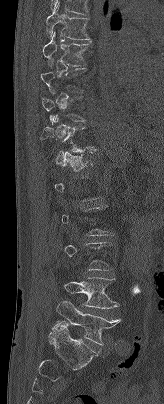
Spine CT; sagittal reformat; W/L 1800/400 HU. Bounding boxes as [x1, y1, x2, y2] in pixel coordinates. Each vertebra is boxed only on the slices from the first to the last where its cross-section reaches a third of its largest, so a slice outside that range leaves it unboxed. Vertebrae labeled: T7 at [46, 2, 90, 39], T8 at [42, 31, 89, 66], T11 at [41, 115, 96, 152], L4 at [64, 277, 119, 308], L5 at [56, 299, 120, 344].